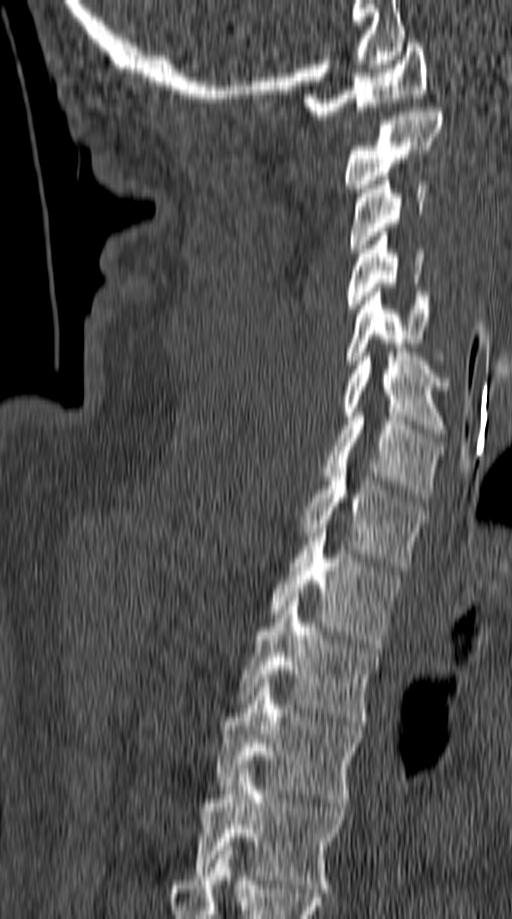 CT spine. 149 mm across the image. sagittal view. W/L 1800/400 HU. 512x919 px

Box edges are left/top/right/bottom in pixels.
T5: left=192, top=769, right=344, bottom=892
T4: left=217, top=683, right=361, bottom=807
T3: left=240, top=597, right=378, bottom=725
T2: left=269, top=528, right=399, bottom=648
T1: left=298, top=464, right=423, bottom=570
C7: left=323, top=412, right=443, bottom=502
C6: left=341, top=352, right=450, bottom=437
C5: left=346, top=288, right=434, bottom=368
C4: left=345, top=228, right=423, bottom=313
C3: left=348, top=172, right=428, bottom=252
C2: left=345, top=107, right=443, bottom=192
C1: left=304, top=39, right=427, bottom=119